CT. sagittal view. an area of the scan was removed and filled with constant pixels
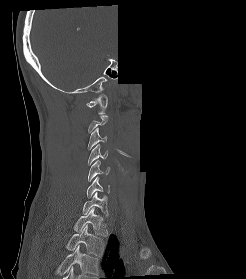

Boxes: x1 y1 x2 y2 (pixel coords, space-separated). A vertebra is boxed only from the first to the last slice where its cross-section is at least a third of its largest; slices outside that range leave it without a box. In this scan, the topmost labeled vertebra is C1 and the lowest is T2. 8 vertebrae labeled — C1 at 86 94 108 115; C3 at 87 127 106 150; C4 at 88 144 107 165; C5 at 88 160 110 181; C6 at 86 176 109 197; C7 at 82 191 109 216; T1 at 74 207 108 236; T2 at 66 224 103 258.